Spine computed tomography. sagittal view. bone-window reconstruction. 10 vertebrae labeled in this scan
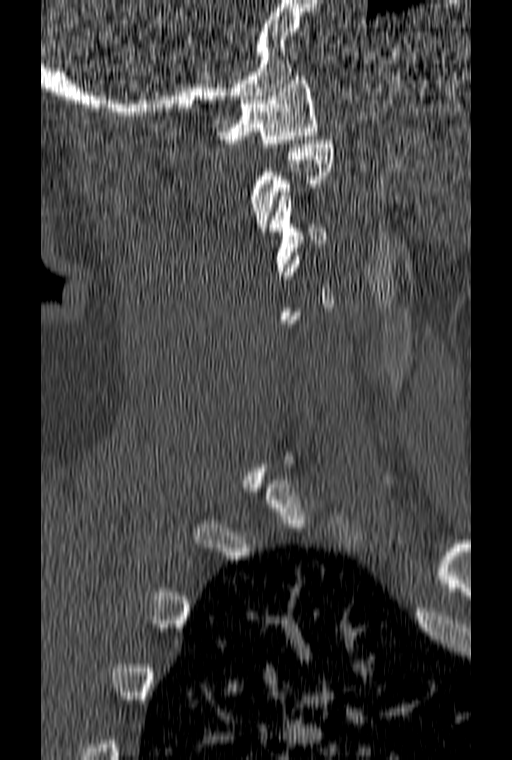 Boxes: x1 y1 x2 y2 (pixel coords, space-separated). Not every vertebra on this slice has a box: a vertebra is boxed only from the first to the last slice where its cross-section is at least a third of its largest, and this slice is outside that range for at least one of them. Vertebrae labeled: C1 at 217 72 317 147, C3 at 269 192 326 275.